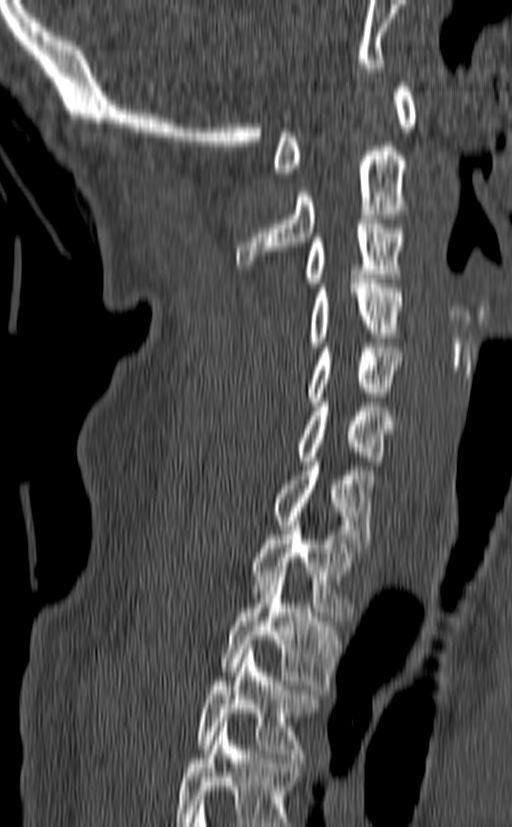 Spine computed tomography — sagittal view — W/L 1800/400 HU
Each box given as x1,y1,x2,y2.
Labels in this scan begin with C1 at the top and end with T3 at the bottom.
C1: x1=274, y1=82, x2=417, y2=177
C2: x1=236, y1=146, x2=406, y2=269
C3: x1=262, y1=219, x2=403, y2=310
C4: x1=309, y1=279, x2=403, y2=346
C5: x1=307, y1=343, x2=403, y2=406
C6: x1=297, y1=398, x2=392, y2=465
C7: x1=272, y1=457, x2=374, y2=552
T1: x1=250, y1=521, x2=360, y2=616
T2: x1=221, y1=571, x2=340, y2=689
T3: x1=195, y1=645, x2=319, y2=762